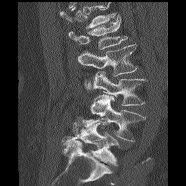

CT spine · sagittal view · W/L 1800/400 HU · 186x186 px
Where the top of the scan cuts through a vertebra, that vertebra gets no label or box.
<vertebrae><v name="L1" x1="68" y1="14" x2="127" y2="49"/><v name="L2" x1="78" y1="44" x2="138" y2="76"/><v name="L3" x1="84" y1="71" x2="145" y2="105"/><v name="L4" x1="84" y1="94" x2="146" y2="141"/><v name="L5" x1="61" y1="116" x2="119" y2="166"/></vertebrae>